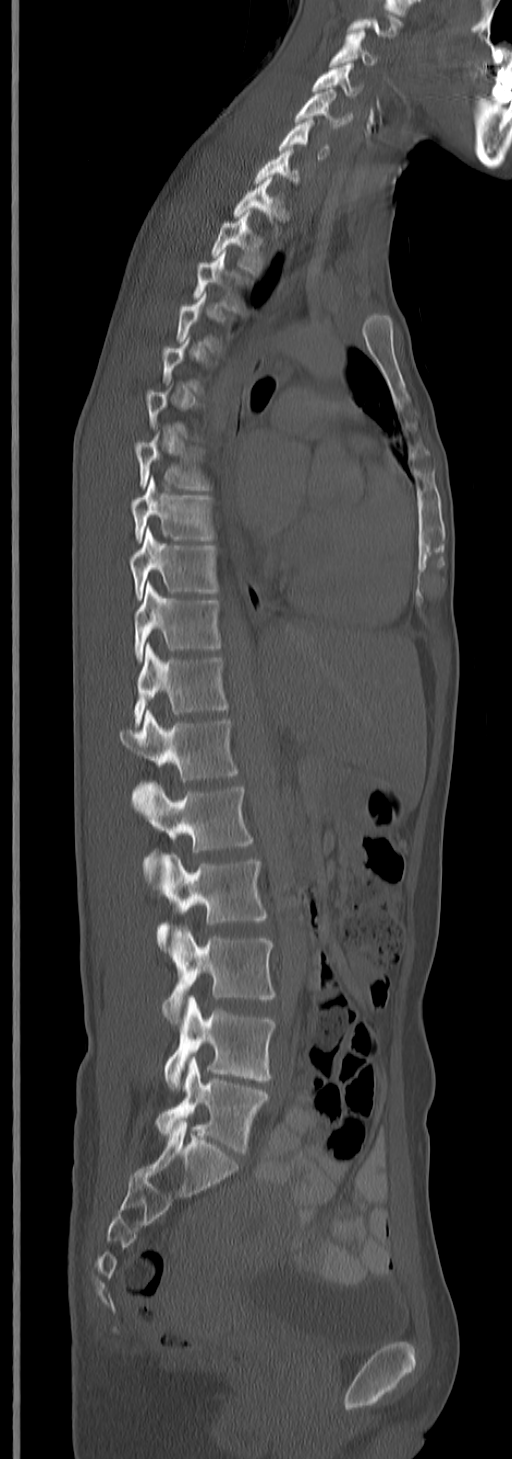

CT. image 245 mm wide. sagittal view. Each box given as x1,y1,x2,y2.
Each vertebra is boxed only on the slices from the first to the last where its cross-section reaches a third of its largest, so a slice outside that range leaves it unboxed.
Labels in this scan begin with C3 at the top and end with L5 at the bottom.
| vertebra | x1 | y1 | x2 | y2 |
|---|---|---|---|---|
| C3 | 329 | 30 | 380 | 69 |
| C4 | 312 | 62 | 363 | 98 |
| C5 | 295 | 89 | 344 | 131 |
| C6 | 278 | 119 | 330 | 158 |
| C7 | 253 | 147 | 300 | 186 |
| T1 | 233 | 176 | 280 | 223 |
| T2 | 212 | 212 | 263 | 273 |
| T3 | 193 | 253 | 246 | 311 |
| T7 | 134 | 439 | 211 | 491 |
| T8 | 130 | 477 | 215 | 543 |
| T9 | 130 | 527 | 219 | 599 |
| T10 | 134 | 584 | 221 | 660 |
| T11 | 134 | 644 | 229 | 729 |
| T12 | 120 | 709 | 238 | 781 |
| L1 | 132 | 780 | 252 | 880 |
| L2 | 157 | 853 | 267 | 949 |
| L3 | 163 | 924 | 275 | 1024 |
| L4 | 164 | 996 | 275 | 1089 |
| L5 | 155 | 1056 | 269 | 1153 |